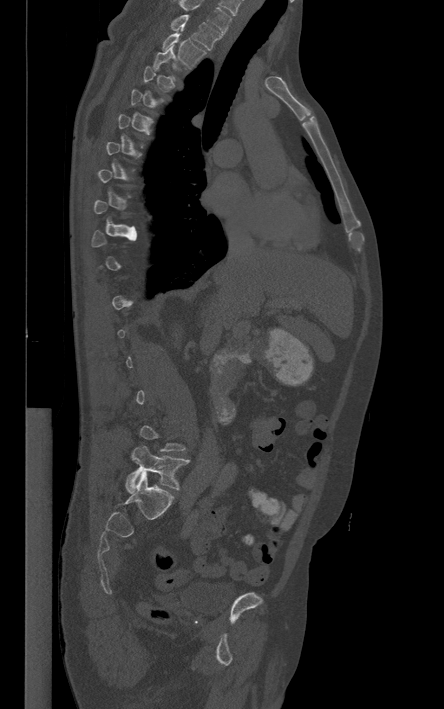
CT, spine · sagittal view · 444x709 px

Box edges are left/top/right/bottom in pixels.
A vertebra is boxed only from the first to the last slice where its cross-section is at least a third of its largest; slices outside that range leave it without a box.
In this scan, the topmost labeled vertebra is T1 and the lowest is L5.
| vertebra | x1 | y1 | x2 | y2 |
|---|---|---|---|---|
| L5 | 125 | 445 | 190 | 492 |
| T2 | 160 | 30 | 205 | 67 |
| T1 | 171 | 15 | 221 | 49 |